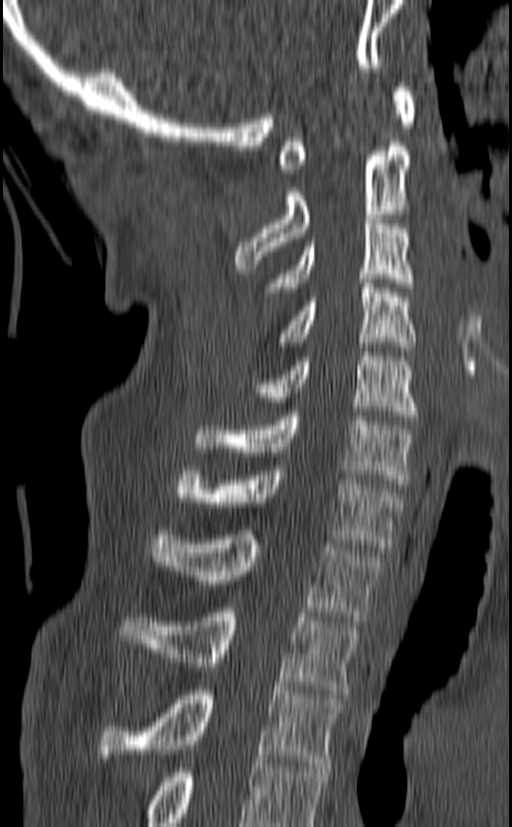
Computed tomography of the spine · sagittal view · Bone window (WL 400, WW 1800) · image width 140 mm · 512x827 px
Each box is [x1, y1, x2, y2] in pixels: top-left corner, then bottom-right corner.
The highest labeled vertebra in this scan is C1; the lowest is T3.
{"vertebrae":{"T3":[97,686,341,767],"T2":[119,608,359,694],"T1":[150,530,381,621],"C7":[177,466,403,552],"C6":[192,411,414,488],"C5":[250,352,417,420],"C4":[279,274,415,351],"C3":[265,219,413,292],"C2":[235,146,410,269],"C1":[279,82,414,173]}}